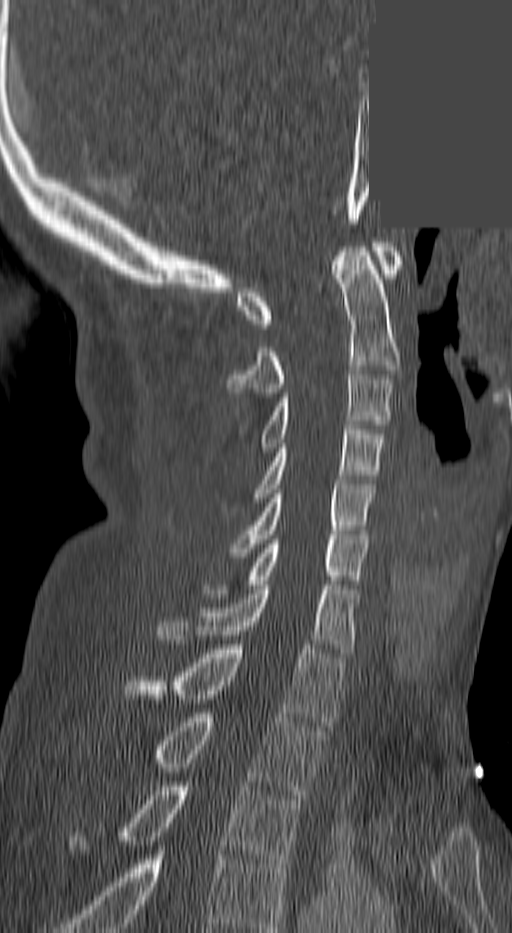
Spine computed tomography. sagittal view. part of the image has been replaced by a constant value
Boxes: x1:y1:x2:y2 in pixels.
The highest labeled vertebra in this scan is C1; the lowest is T3.
Vertebra bounding boxes:
- T3: 126:782:300:868
- T2: 159:713:323:799
- T1: 129:649:344:726
- C7: 159:585:355:653
- C6: 210:539:366:593
- C5: 232:480:373:557
- C4: 253:425:384:502
- C3: 262:370:392:452
- C2: 228:247:399:397
- C1: 239:242:399:328